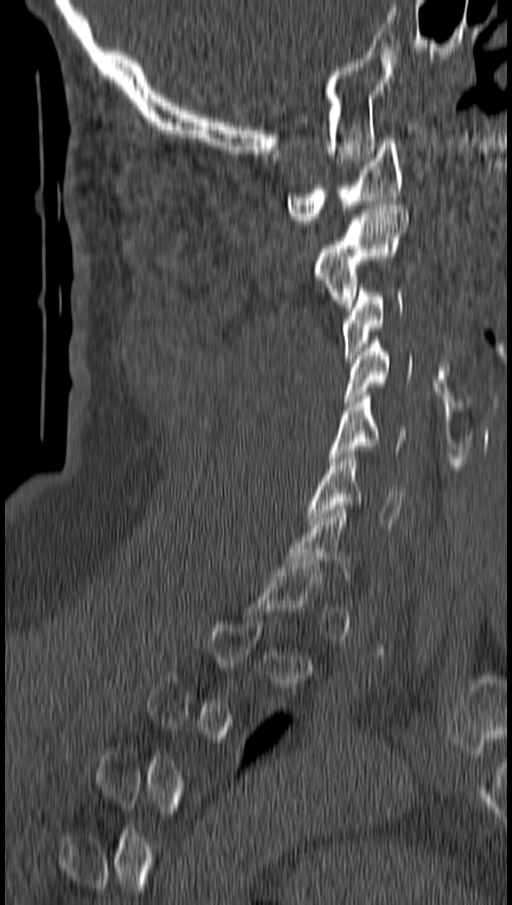

Spine CT. sagittal view. 512x905 px
A vertebra is boxed only from the first to the last slice where its cross-section is at least a third of its largest; slices outside that range leave it without a box.
<vertebrae><v name="C1" x1="288" y1="138" x2="402" y2="224"/><v name="C2" x1="314" y1="201" x2="408" y2="307"/><v name="C3" x1="342" y1="284" x2="402" y2="362"/><v name="C4" x1="346" y1="336" x2="411" y2="406"/><v name="C5" x1="330" y1="391" x2="405" y2="461"/><v name="C6" x1="308" y1="450" x2="403" y2="528"/></vertebrae>